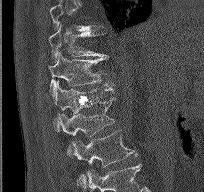 CT, spine; 204 mm image width; sagittal view; bone window
In the table, x1 and y1 are a box's top-left corner and x2 and y2 its bottom-right corner, in pixels.
A vertebra is boxed only from the first to the last slice where its cross-section is at least a third of its largest; slices outside that range leave it without a box.
| vertebra | x1 | y1 | x2 | y2 |
|---|---|---|---|---|
| T10 | 48 | 24 | 107 | 62 |
| T11 | 48 | 51 | 110 | 95 |
| T12 | 52 | 81 | 114 | 131 |
| L1 | 57 | 97 | 116 | 158 |
| L2 | 71 | 130 | 137 | 183 |